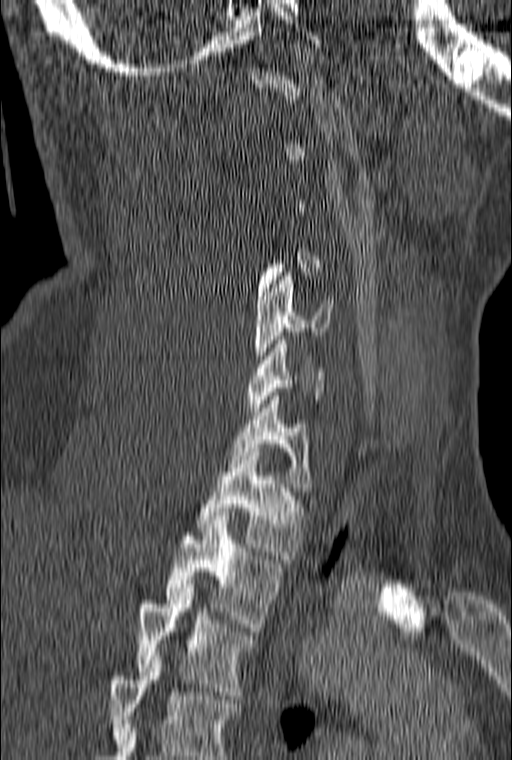 Computed tomography of the spine — sagittal reformat — 512x760 px

Box values are [left, top, right, bottom] in pixels.
A vertebra gets a box only on the slices from the first to the last where its cross-section is at least a third of its largest; on a slice outside that range it gets none.
The highest labeled vertebra in this scan is C1; the lowest is T3.
{"vertebrae":{"T3":[136,588,256,699],"T2":[164,520,282,631],"T1":[196,448,304,559],"C7":[227,396,311,491],"C6":[248,336,323,411],"C5":[254,272,333,367]}}